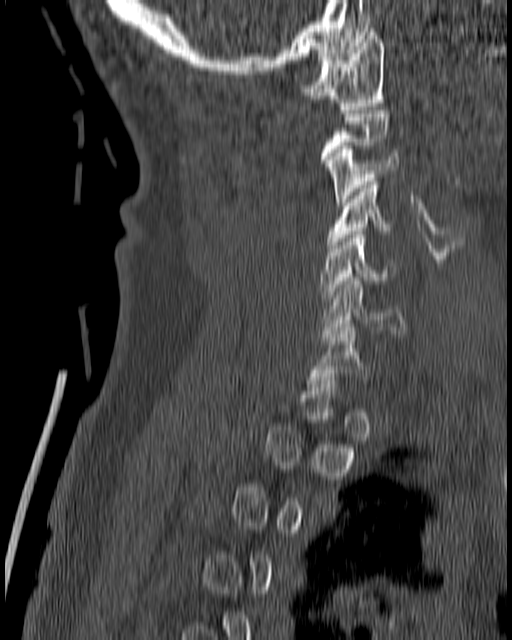

Spine computed tomography — sagittal view. Boxes: x1:y1:x2:y2 in pixels. A vertebra is boxed only from the first to the last slice where its cross-section is at least a third of its largest; slices outside that range leave it without a box. 6 vertebrae labeled — C1 at 301:28:384:109; C3 at 325:146:399:205; C4 at 327:178:398:248; C5 at 319:231:393:301; C6 at 321:277:405:340; C7 at 308:324:367:387.